CT · sagittal reformat · bone-window reconstruction · 512x842 px · 17 vertebrae labeled in this scan
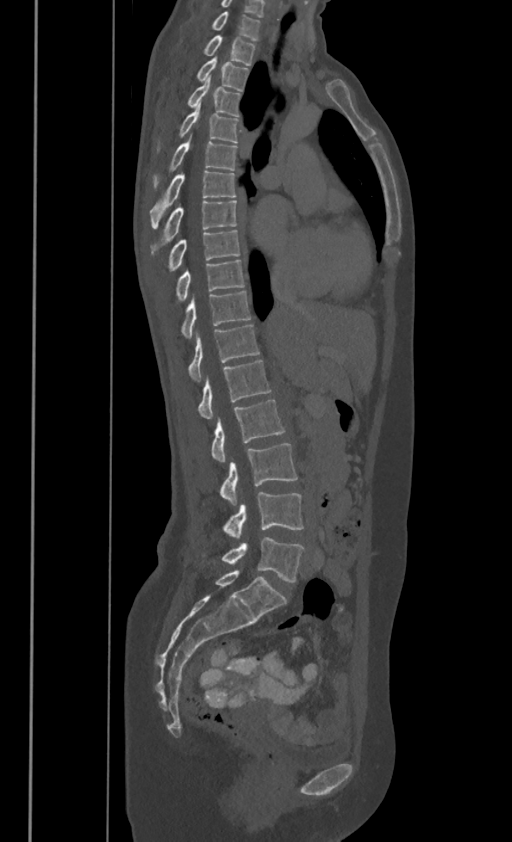

Bounding boxes as [x1, y1, x2, y2] in pixel coordinates. In these labels the spine has no T12: the thoracic vertebrae end at T11, and L1 comes next. 17 vertebrae labeled — C7 at [212, 11, 259, 38]; T1 at [204, 35, 255, 63]; T2 at [197, 55, 248, 89]; T3 at [188, 75, 239, 114]; T4 at [179, 101, 238, 141]; T5 at [154, 134, 236, 185]; T6 at [150, 170, 235, 227]; T7 at [154, 199, 236, 249]; T8 at [168, 229, 239, 269]; T9 at [176, 258, 243, 300]; T10 at [182, 290, 250, 337]; T11 at [188, 324, 259, 380]; L1 at [199, 359, 271, 418]; L2 at [211, 399, 284, 462]; L3 at [220, 444, 297, 504]; L4 at [224, 492, 303, 539]; L5 at [221, 538, 303, 582].